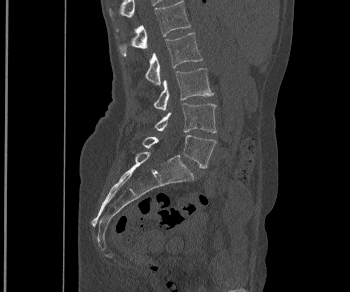

CT, spine · sagittal view
Columns x1, y1, x2, y2 give each box's top-left and bottom-right pixels.
| vertebra | x1 | y1 | x2 | y2 |
|---|---|---|---|---|
| L1 | 119 | 0 | 190 | 55 |
| L2 | 145 | 33 | 202 | 85 |
| L3 | 154 | 68 | 213 | 110 |
| L4 | 155 | 103 | 216 | 133 |
| L5 | 143 | 135 | 216 | 168 |